CT spine — Sagittal slice 275/512 — W/L 1800/400 HU — 11 vertebrae labeled in this scan
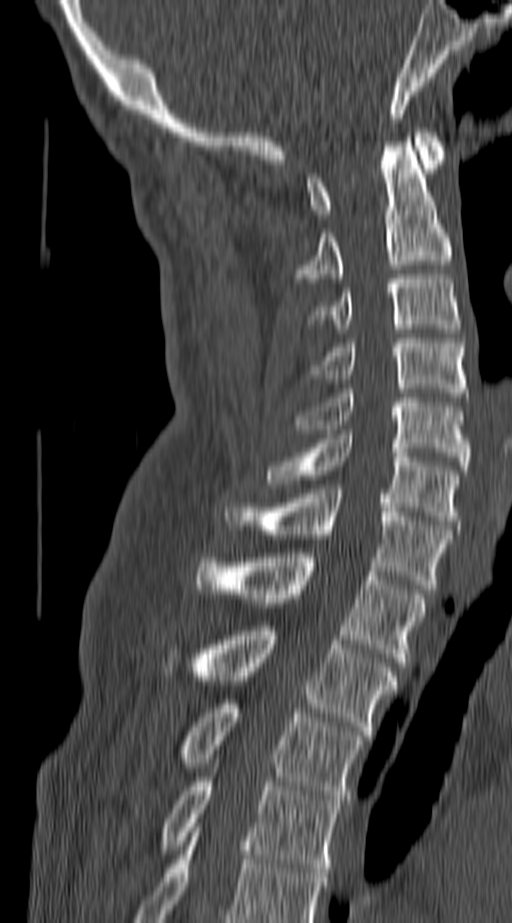

Labels in this scan begin with C1 at the top and end with T4 at the bottom.
<vertebrae><v name="T4" x1="162" y1="777" x2="340" y2="872"/><v name="T3" x1="181" y1="699" x2="362" y2="804"/><v name="T2" x1="192" y1="626" x2="395" y2="735"/><v name="T1" x1="195" y1="553" x2="425" y2="666"/><v name="C7" x1="224" y1="489" x2="450" y2="589"/><v name="C6" x1="266" y1="434" x2="457" y2="525"/><v name="C5" x1="294" y1="389" x2="468" y2="470"/><v name="C4" x1="309" y1="338" x2="465" y2="397"/><v name="C3" x1="312" y1="274" x2="461" y2="328"/><v name="C2" x1="291" y1="142" x2="450" y2="282"/><v name="C1" x1="305" y1="128" x2="443" y2="218"/></vertebrae>